CT spine — 150 mm across the image — sagittal plane, index 205
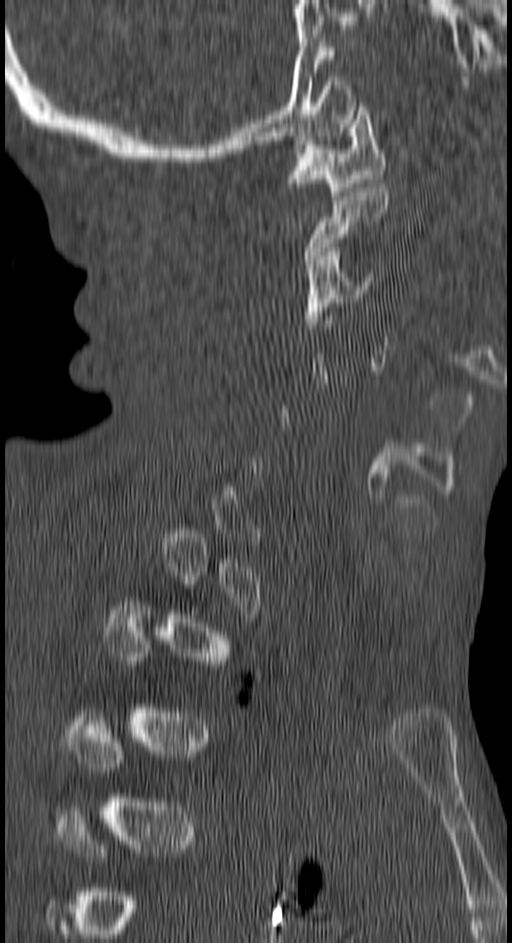 Boxes below are [x1, y1, x2, y2] in pixels.
A vertebra gets a box only on the slices from the first to the last where its cross-section is at least a third of its largest; on a slice outside that range it gets none.
{"vertebrae":{"C3":[304,247,372,328],"C2":[305,183,386,268],"C1":[288,102,383,200]}}